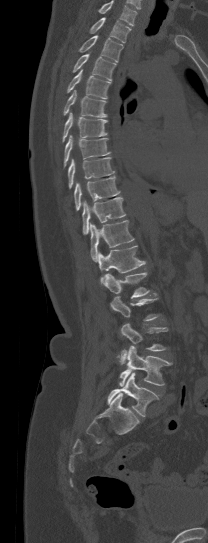
Computed tomography of the spine. sagittal view. the image is 208 mm wide
Each box is [x1, y1, x2, y2] in pixels: top-left corner, then bottom-right corner.
Not every vertebra on this slice has a box: a vertebra is boxed only from the first to the last slice where its cross-section is at least a third of its largest, and this slice is outside that range for at least one of them.
Where the top of the scan cuts through a vertebra, that vertebra gets no label or box.
{"vertebrae":{"L5":[107,373,159,416],"L4":[118,345,172,386],"L3":[116,323,168,364],"L1":[104,272,149,298],"T12":[98,245,145,284],"T11":[90,220,133,262],"T10":[82,197,125,234],"T9":[74,176,120,210],"T8":[68,157,114,188],"T7":[63,135,110,167],"T6":[62,112,107,141],"T5":[63,90,107,117],"T4":[67,69,110,98],"T3":[73,53,115,80],"T2":[79,35,122,62],"T1":[89,17,131,42]}}